Spine CT; sagittal reformat; 197x180 px; 9 vertebrae labeled in this scan; part of the scan has been removed (filled with constant black)
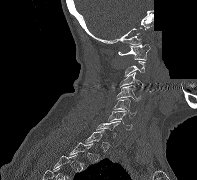

Each vertebra maps to its box as [x1, y1, x2, y2], the pixel coordinates of its top-left and bottom-right corners.
Not every vertebra on this slice has a box: a vertebra is boxed only from the first to the last slice where its cross-section is at least a third of its largest, and this slice is outside that range for at least one of them.
{"vertebrae":{"C1":[118,44,150,60],"C3":[119,72,145,89],"C4":[116,85,141,101],"C5":[113,99,137,118],"C6":[107,110,132,129],"C7":[96,121,120,137]}}